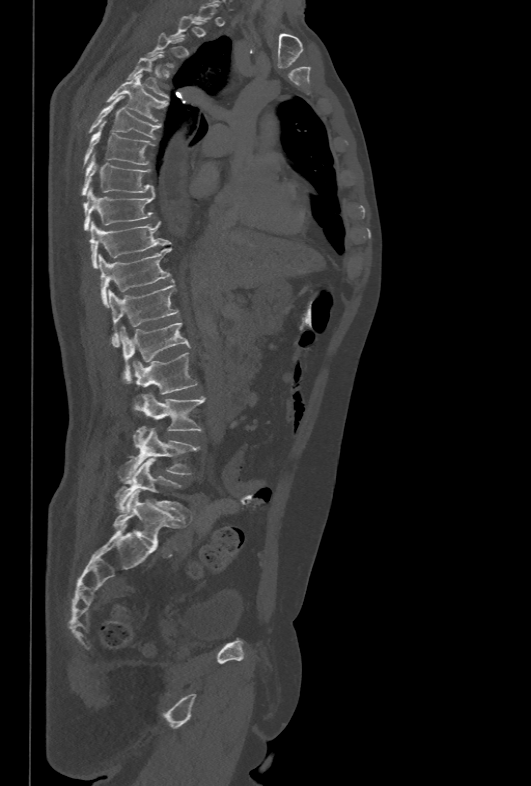

CT — sagittal view — W/L 1800/400 HU — 531x786 px — image width 478 mm
A vertebra is boxed only from the first to the last slice where its cross-section is at least a third of its largest; slices outside that range leave it without a box.
<vertebrae><v name="L5" x1="115" y1="457" x2="186" y2="514"/><v name="L4" x1="119" y1="426" x2="200" y2="481"/><v name="L3" x1="139" y1="393" x2="204" y2="431"/><v name="L2" x1="132" y1="353" x2="198" y2="409"/><v name="L1" x1="120" y1="322" x2="190" y2="383"/><v name="T12" x1="108" y1="282" x2="178" y2="346"/><v name="T11" x1="99" y1="248" x2="171" y2="306"/><v name="T10" x1="90" y1="220" x2="170" y2="268"/><v name="T9" x1="83" y1="188" x2="155" y2="231"/><v name="T8" x1="81" y1="155" x2="154" y2="195"/><v name="T7" x1="83" y1="123" x2="154" y2="165"/><v name="T6" x1="88" y1="96" x2="160" y2="138"/><v name="T5" x1="106" y1="74" x2="167" y2="124"/><v name="T4" x1="127" y1="54" x2="168" y2="99"/></vertebrae>